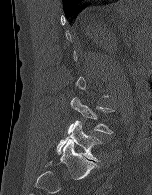

CT, spine · sagittal view
Boxes are (x1, y1, x2, y2) in pixels. A vertebra gets a box only on the slices from the first to the last where its cross-section is at least a third of its largest; on a slice outside that range it gets none. Vertebrae labeled: L4 at (67, 97, 114, 134), L5 at (56, 120, 101, 162).